Computed tomography of the spine; sagittal view; Bone window (WL 400, WW 1800); 555x689 px
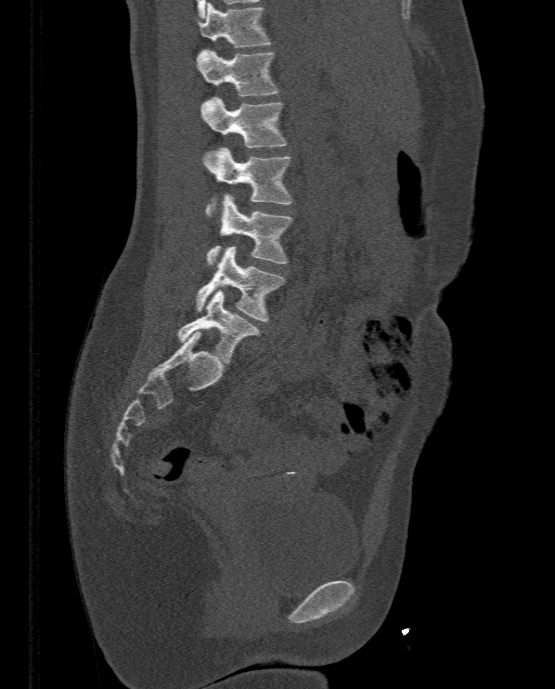 Boxes are (x1, y1, x2, y2) in pixels.
L5: (178, 289, 260, 363)
L4: (196, 246, 285, 321)
L3: (206, 194, 292, 266)
L2: (203, 147, 292, 211)
L1: (202, 97, 287, 147)
T12: (196, 49, 279, 96)
T11: (198, 3, 272, 47)